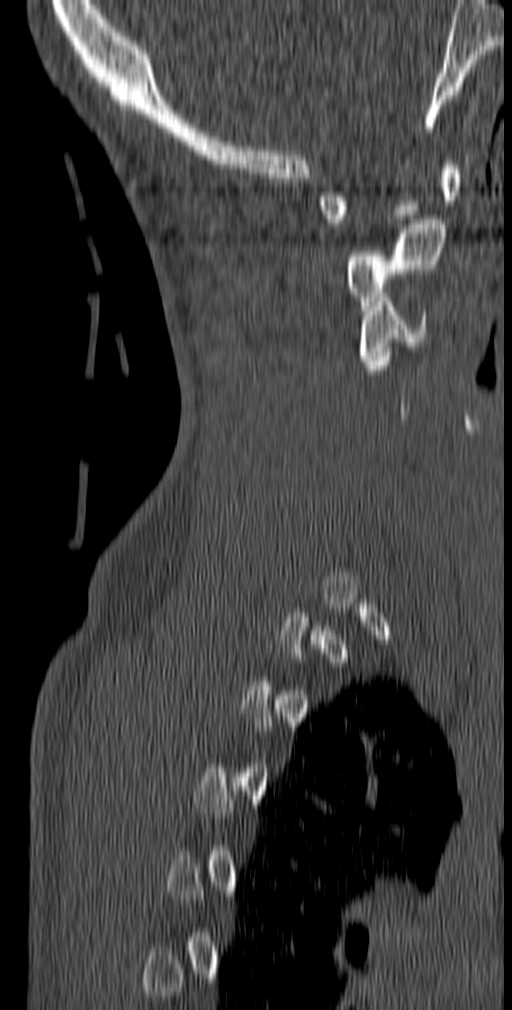 CT — sagittal reformat
Each box given as x1,y1,x2,y2. Each vertebra is boxed only on the slices from the first to the last where its cross-section reaches a third of its largest, so a slice outside that range leaves it unboxed. Vertebrae labeled: C1 at x1=318, y1=160, x2=461, y2=228, C2 at x1=345, y1=219, x2=445, y2=310, C3 at x1=358, y1=293, x2=429, y2=365.